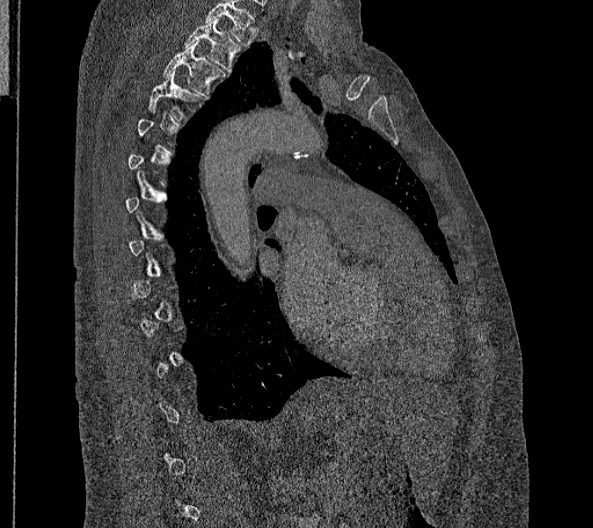

Spine CT. sagittal view. bone window. 593x528 px. the image is 356 mm wide
Coordinates as <box>x1,y1,x2,y2</box>. Not every vertebra on this slice has a box: a vertebra is boxed only from the first to the last slice where its cross-section is at least a third of its largest, and this slice is outside that range for at least one of them. In this scan, the topmost labeled vertebra is T2 and the lowest is L2. The labeled vertebrae in this slice are: T2 at <box>184,18,240,72</box>, T3 at <box>163,41,224,97</box>, T4 at <box>147,70,201,119</box>.